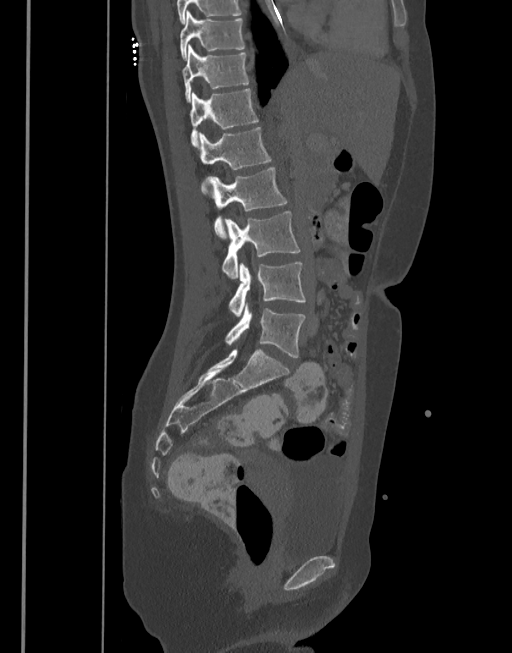

Computed tomography of the spine. sagittal view. bone window. 377 mm image width. 512x653 px

Columns x1, y1, x2, y2 give each box's top-left and bottom-right pixels.
| vertebra | x1 | y1 | x2 | y2 |
|---|---|---|---|---|
| T10 | 180 | 10 | 245 | 60 |
| T11 | 182 | 44 | 249 | 102 |
| T12 | 190 | 89 | 258 | 147 |
| L1 | 199 | 127 | 270 | 192 |
| L2 | 203 | 166 | 287 | 239 |
| L3 | 223 | 211 | 301 | 279 |
| L4 | 229 | 262 | 305 | 317 |
| L5 | 225 | 304 | 306 | 357 |